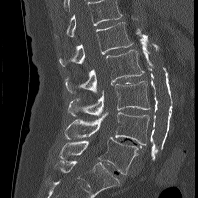
CT spine. sagittal view. the image spans 198 mm across. Bone window (WL 400, WW 1800)
Labels in this scan begin with L1 at the top and end with L5 at the bottom.
<vertebrae><v name="L5" x1="60" y1="137" x2="138" y2="174"/><v name="L4" x1="64" y1="112" x2="149" y2="145"/><v name="L3" x1="67" y1="81" x2="150" y2="116"/><v name="L2" x1="65" y1="50" x2="144" y2="93"/><v name="L1" x1="59" y1="22" x2="133" y2="66"/></vertebrae>